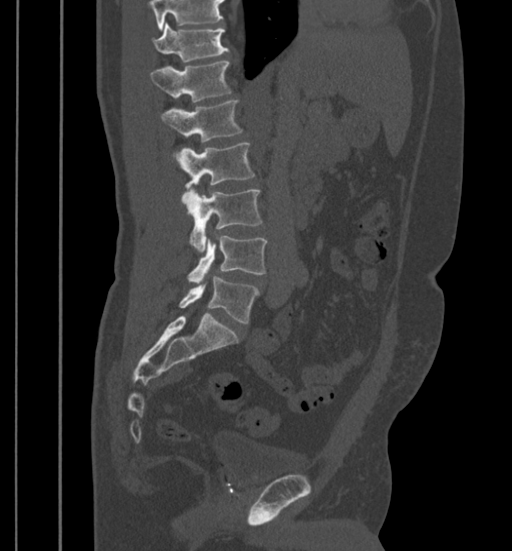

CT · the image spans 399 mm across · sagittal view · bone-window reconstruction · 512x551 px
Columns x1, y1, x2, y2 give each box's top-left and bottom-right pixels.
Vertebrae that run past the top of the scan are left unlabeled.
| vertebra | x1 | y1 | x2 | y2 |
|---|---|---|---|---|
| T11 | 153 | 23 | 230 | 62 |
| T12 | 150 | 60 | 231 | 102 |
| L1 | 160 | 100 | 243 | 141 |
| L2 | 177 | 142 | 254 | 204 |
| L3 | 188 | 190 | 262 | 252 |
| L4 | 188 | 236 | 267 | 283 |
| L5 | 178 | 275 | 259 | 323 |